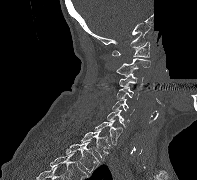
CT spine — sagittal view — W/L 1800/400 HU — part of the image has been replaced by a constant value
Bounding boxes as [x1, y1, x2, y2] in pixel coordinates.
C1: [111, 42, 149, 57]
C2: [116, 58, 150, 76]
C3: [119, 74, 143, 87]
C4: [116, 86, 139, 99]
C5: [112, 99, 134, 115]
C6: [107, 110, 129, 128]
C7: [95, 119, 122, 145]
T1: [80, 129, 110, 160]
T2: [66, 142, 99, 173]